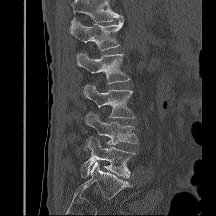
Spine CT — sagittal view — 216x216 px
Each box given as x1,y1,x2,y2.
No box is given to a vertebra that the top edge of the scan cuts off.
| vertebra | x1 | y1 | x2 | y2 |
|---|---|---|---|---|
| L1 | 69 | 18 | 123 | 50 |
| L2 | 75 | 53 | 130 | 83 |
| L3 | 83 | 84 | 134 | 118 |
| L4 | 85 | 112 | 138 | 144 |
| L5 | 81 | 137 | 135 | 178 |